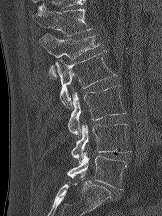
CT, spine. 162 mm across the image. sagittal view. W/L 1800/400 HU
Coordinates as <box>x1,y1,x2,y2</box>. 6 vertebrae labeled — T12 at <box>32,3,92,36</box>; L1 at <box>39,34,102,79</box>; L2 at <box>55,50,116,107</box>; L3 at <box>67,85,126,137</box>; L4 at <box>71,123,131,162</box>; L5 at <box>67,152,126,189</box>.